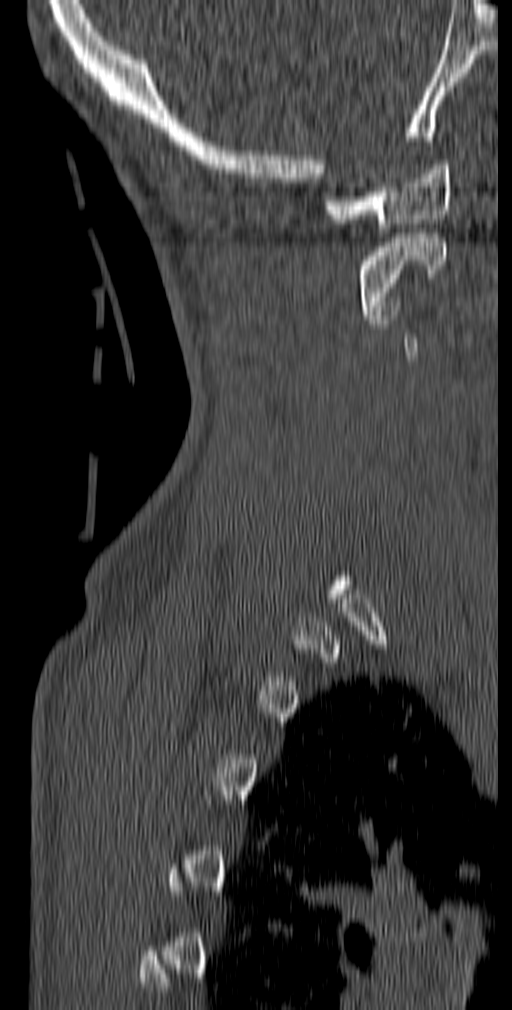 Spine computed tomography · the image is 140 mm wide · sagittal view · bone window

Boxes: x1 y1 x2 y2 (pixel coords, space-separated). Each vertebra is boxed only on the slices from the first to the last where its cross-section reaches a third of its largest, so a slice outside that range leaves it unboxed. Vertebrae labeled: C1 at 325 160 450 232, C2 at 359 233 447 319.